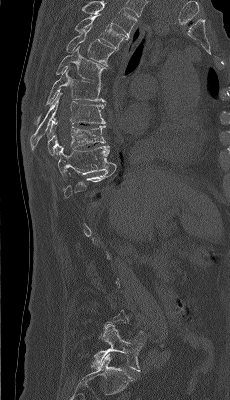 CT spine — sagittal view — 230x400 px
Bounding boxes as [x1, y1, x2, y2] in pixel coordinates. Each vertebra is boxed only on the slices from the first to the last where its cross-section reaches a third of its largest, so a slice outside that range leaves it unboxed. This scan's labels start at T4 at the top and end at L5 at the bottom. The labeled vertebrae in this slice are: T4 at [75, 14, 128, 49], T5 at [66, 27, 118, 66], T6 at [56, 46, 106, 86], T7 at [34, 69, 105, 125], T8 at [30, 91, 105, 149], T9 at [47, 118, 105, 156], T10 at [58, 145, 116, 180], L5 at [91, 324, 142, 371].